CT · sagittal reformat · W/L 1800/400 HU · 365x619 px
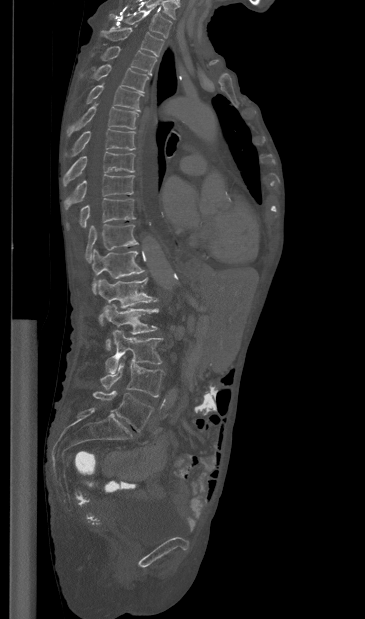

<vertebrae><v name="T1" x1="109" y1="8" x2="172" y2="37"/><v name="T2" x1="101" y1="27" x2="163" y2="55"/><v name="T3" x1="101" y1="46" x2="156" y2="74"/><v name="T4" x1="92" y1="64" x2="148" y2="92"/><v name="T5" x1="86" y1="83" x2="143" y2="111"/><v name="T6" x1="67" y1="103" x2="138" y2="136"/><v name="T7" x1="65" y1="129" x2="135" y2="156"/><v name="T8" x1="62" y1="151" x2="134" y2="186"/><v name="T9" x1="64" y1="174" x2="134" y2="209"/><v name="T10" x1="66" y1="198" x2="135" y2="229"/><v name="T11" x1="85" y1="224" x2="138" y2="262"/><v name="T12" x1="92" y1="249" x2="144" y2="294"/><v name="L1" x1="98" y1="278" x2="157" y2="324"/><v name="L2" x1="103" y1="304" x2="158" y2="349"/><v name="L3" x1="105" y1="329" x2="162" y2="373"/><v name="L4" x1="100" y1="363" x2="163" y2="397"/><v name="L5" x1="93" y1="391" x2="153" y2="431"/></vertebrae>